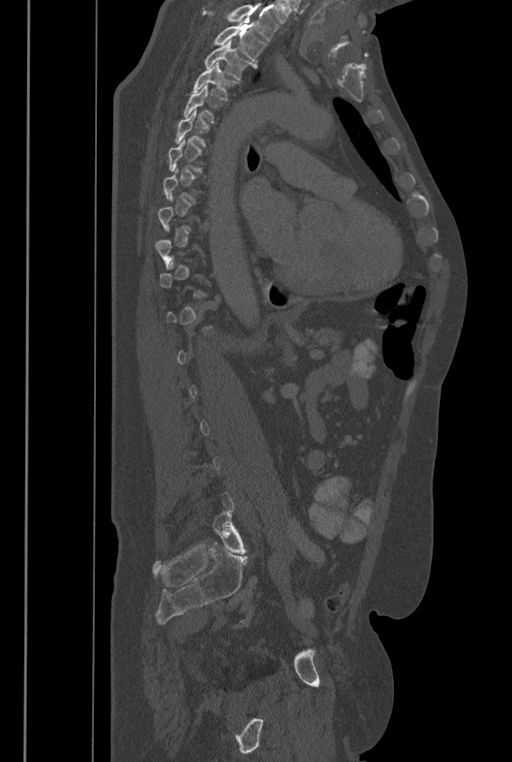

CT — the image is 446 mm wide — sagittal view — 512x762 px

Box edges are left/top/right/bottom in pixels. A vertebra gets a box only on the slices from the first to the last where its cross-section is at least a third of its largest; on a slice outside that range it gets none. No box is given to a vertebra that the top edge of the scan cuts off. These labels give the spine a sixth lumbar vertebra, L6, below L5. The labeled vertebrae in this slice are: T2 at left=212, top=21, right=266, bottom=67, T3 at left=204, top=40, right=252, bottom=80, T4 at left=191, top=62, right=237, bottom=100, T5 at left=183, top=84, right=222, bottom=123, L6 at left=212, top=511, right=247, bottom=554.